CT spine. Sagittal slice 291/512. W/L 1800/400 HU. 531x786 px
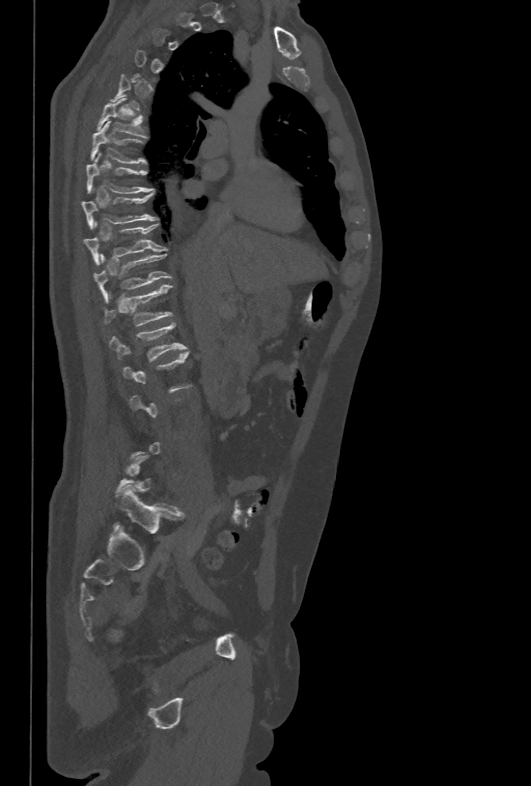 Box edges are left/top/right/bottom in pixels. Each vertebra is boxed only on the slices from the first to the last where its cross-section reaches a third of its largest, so a slice outside that range leaves it unboxed. The labeled vertebrae in this slice are: T6 at left=96, top=98, right=145, bottom=137, T7 at left=90, top=120, right=145, bottom=163, T8 at left=85, top=153, right=153, bottom=193, T9 at left=81, top=192, right=157, bottom=228, T10 at left=83, top=222, right=167, bottom=264, T11 at left=93, top=254, right=171, bottom=300, T12 at left=104, top=285, right=172, bottom=326, L1 at left=109, top=322, right=186, bottom=361.